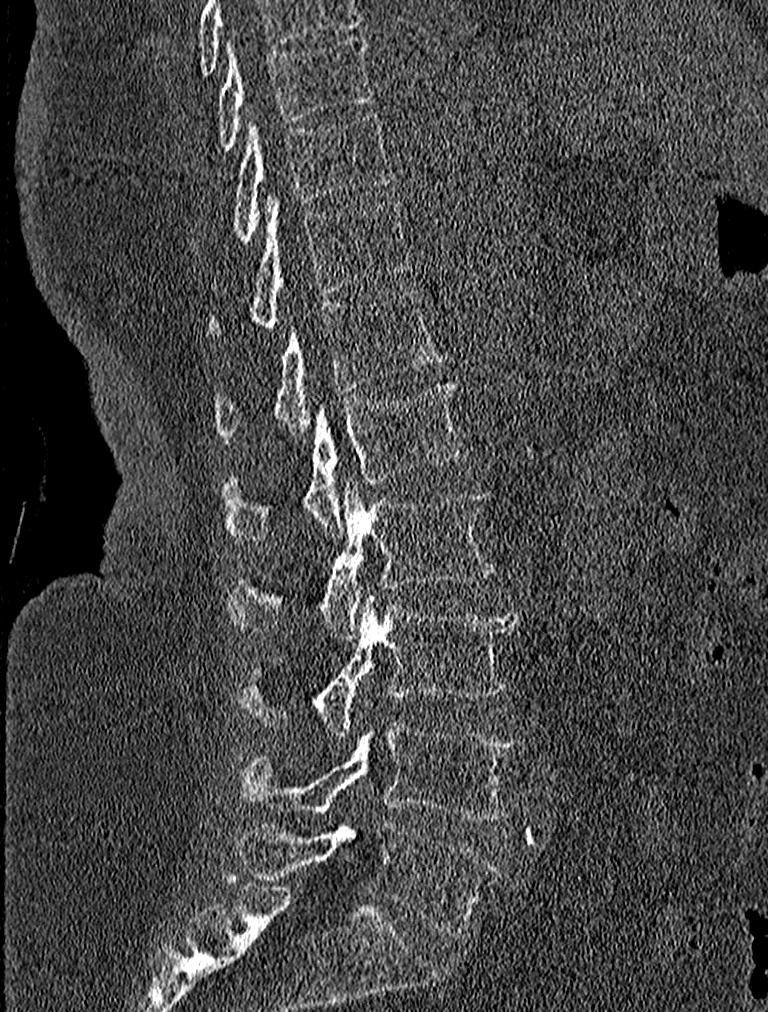 Spine CT · sagittal view
<vertebrae><v name="T9" x1="215" y1="33" x2="373" y2="151"/><v name="T10" x1="188" y1="111" x2="397" y2="256"/><v name="T11" x1="205" y1="196" x2="411" y2="342"/><v name="T12" x1="215" y1="288" x2="444" y2="442"/><v name="L1" x1="222" y1="382" x2="468" y2="543"/><v name="L2" x1="225" y1="477" x2="495" y2="637"/><v name="L3" x1="239" y1="597" x2="519" y2="734"/><v name="L4" x1="239" y1="722" x2="522" y2="820"/><v name="L5" x1="236" y1="821" x2="502" y2="935"/></vertebrae>